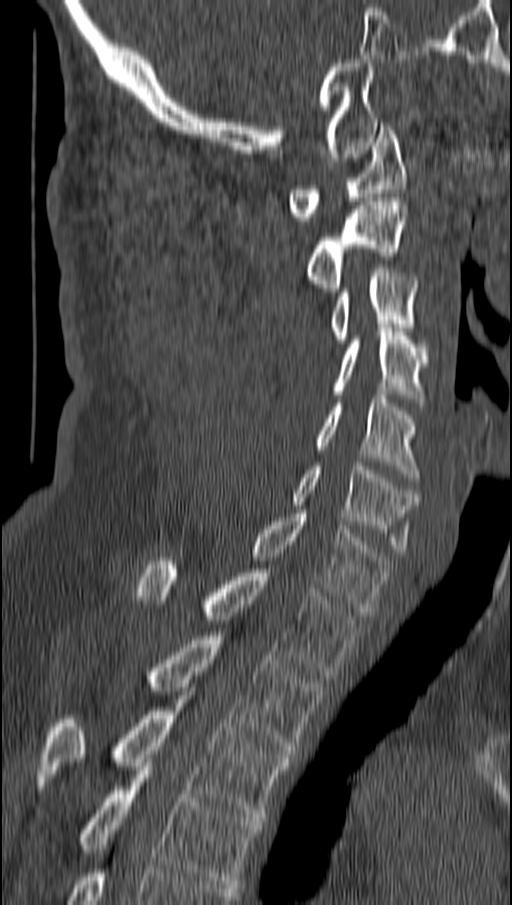

CT spine; sagittal view; the image spans 162 mm across

<vertebrae><v name="C1" x1="289" y1="122" x2="405" y2="220"/><v name="C2" x1="308" y1="201" x2="405" y2="295"/><v name="C3" x1="330" y1="265" x2="417" y2="343"/><v name="C4" x1="333" y1="328" x2="428" y2="406"/><v name="C5" x1="314" y1="395" x2="420" y2="481"/><v name="C6" x1="292" y1="462" x2="417" y2="552"/><v name="C7" x1="251" y1="514" x2="389" y2="615"/><v name="T1" x1="139" y1="561" x2="357" y2="679"/><v name="T2" x1="146" y1="632" x2="322" y2="754"/><v name="T3" x1="39" y1="695" x2="291" y2="817"/><v name="T4" x1="77" y1="766" x2="259" y2="888"/></vertebrae>